Spine computed tomography · sagittal view · scan covers 7 annotated vertebrae
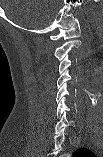 Coordinates as <box>x1,y1,x2,y2</box>.
The highest labeled vertebra in this scan is C1; the lowest is C7.
Vertebra bounding boxes:
- C7: <box>55,112,74,133</box>
- C6: <box>56,97,76,118</box>
- C5: <box>56,83,76,103</box>
- C4: <box>57,69,78,88</box>
- C3: <box>59,54,76,73</box>
- C2: <box>54,40,80,60</box>
- C1: <box>50,18,80,40</box>